CT — image width 500 mm — sagittal reformat — 556x855 px — 20 vertebrae labeled in this scan
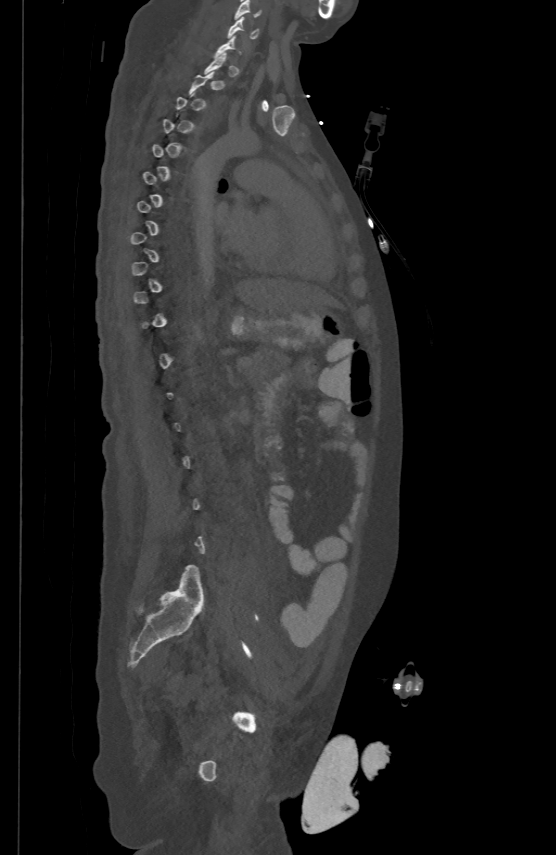
Box edges are left/top/right/bottom in pixels. Not every vertebra on this slice has a box: a vertebra is boxed only from the first to the last slice where its cross-section is at least a third of its largest, and this slice is outside that range for at least one of them. The labeled vertebrae in this slice are: C5 at left=234, top=0, right=261, bottom=19, C6 at left=228, top=15, right=257, bottom=38.